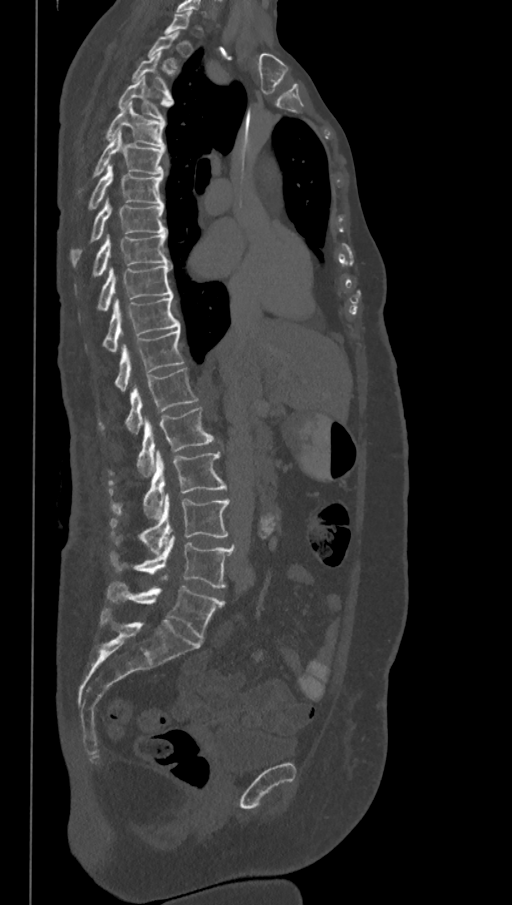 Spine computed tomography; sagittal view; 512x905 px
Coordinates as <box>x1,y1,x2,y2</box>.
Not every vertebra on this slice has a box: a vertebra is boxed only from the first to the last slice where its cross-section is at least a third of its largest, and this slice is outside that range for at least one of them.
These labels give the spine a sixth lumbar vertebra, L6, below L5.
L6: <box>107,581,224,639</box>
L5: <box>110,536,234,588</box>
L4: <box>111,493,231,554</box>
L3: <box>108,451,227,519</box>
L2: <box>110,407,214,477</box>
L1: <box>99,368,198,435</box>
T12: <box>114,328,184,391</box>
T11: <box>103,294,180,352</box>
T10: <box>97,264,173,311</box>
T9: <box>92,233,171,276</box>
T8: <box>71,199,167,266</box>
T7: <box>89,165,163,209</box>
T6: <box>93,131,164,177</box>
T5: <box>106,103,164,148</box>
T4: <box>118,76,173,119</box>
T3: <box>132,53,170,93</box>